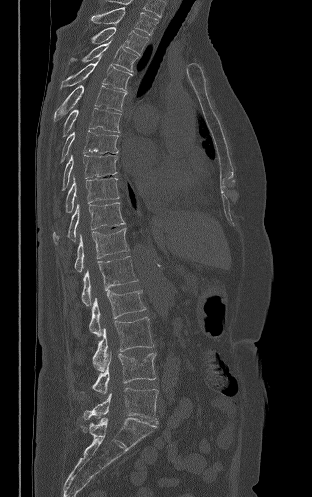
CT, spine; sagittal reformat; bone window; 312x497 px
<vertebrae><v name="T2" x1="92" y1="7" x2="158" y2="35"/><v name="T3" x1="91" y1="27" x2="148" y2="55"/><v name="T4" x1="70" y1="39" x2="137" y2="72"/><v name="T5" x1="60" y1="57" x2="132" y2="91"/><v name="T6" x1="54" y1="85" x2="126" y2="121"/><v name="T7" x1="63" y1="108" x2="121" y2="136"/><v name="T8" x1="61" y1="130" x2="118" y2="162"/><v name="T9" x1="62" y1="155" x2="117" y2="190"/><v name="T10" x1="65" y1="177" x2="119" y2="212"/><v name="T11" x1="53" y1="202" x2="125" y2="243"/><v name="T12" x1="74" y1="228" x2="129" y2="272"/><v name="L1" x1="81" y1="256" x2="137" y2="306"/><v name="L2" x1="89" y1="290" x2="145" y2="336"/><v name="L3" x1="93" y1="317" x2="154" y2="371"/><v name="L4" x1="93" y1="353" x2="156" y2="394"/><v name="L5" x1="83" y1="388" x2="158" y2="423"/></vertebrae>